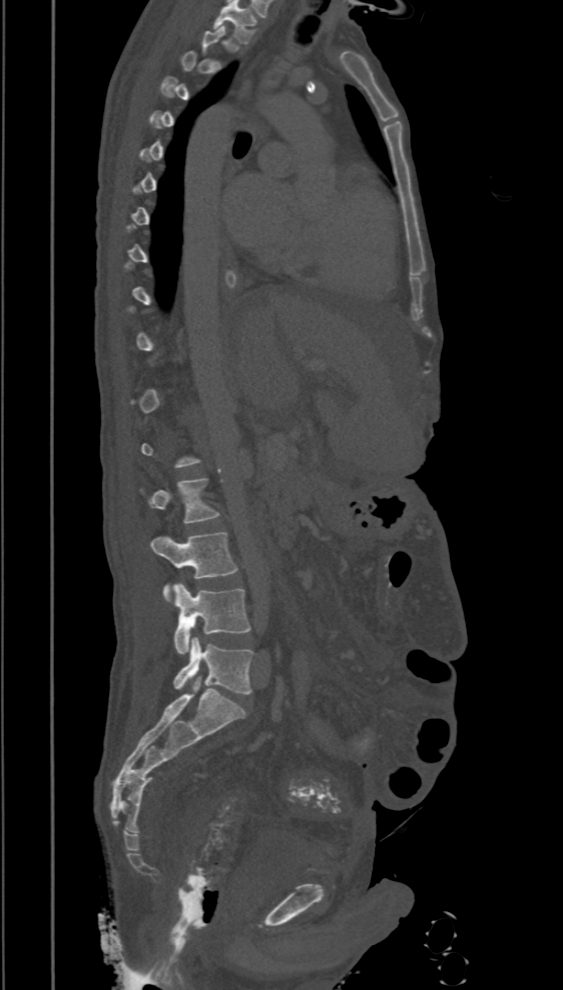
CT spine · sagittal view · 563x990 px
Box edges are left/top/right/bottom in pixels. A vertebra gets a box only on the slices from the first to the last where its cross-section is at least a third of its largest; on a slice outside that range it gets none. Vertebrae labeled: L2 at left=140, top=477, right=220, bottom=524, L3 at left=151, top=532, right=238, bottom=604, L4 at left=173, top=583, right=251, bottom=654, L5 at left=173, top=637, right=253, bottom=694.